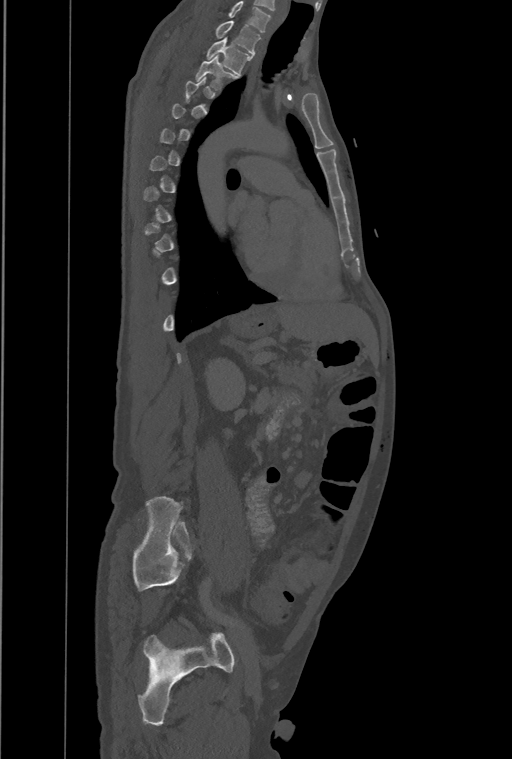 CT spine. sagittal view. the image is 461 mm wide. 512x759 px
A vertebra gets a box only on the slices from the first to the last where its cross-section is at least a third of its largest; on a slice outside that range it gets none.
Labels in this scan begin with T1 at the top and end with L4 at the bottom.
<vertebrae><v name="T3" x1="195" y1="56" x2="237" y2="90"/><v name="T2" x1="206" y1="38" x2="252" y2="75"/><v name="T1" x1="215" y1="20" x2="260" y2="55"/></vertebrae>